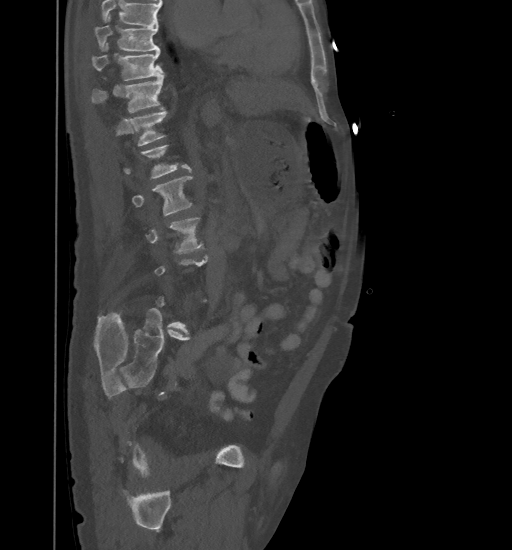

CT spine · sagittal view · W/L 1800/400 HU
Boxes: x1:y1:x2:y2 in pixels. Each vertebra is boxed only on the slices from the first to the last where its cross-section reaches a third of its largest, so a slice outside that range leaves it unboxed. No box is given to a vertebra that the top edge of the scan cuts off. 6 vertebrae labeled — T9 at 94:14:159:51; T10 at 91:43:163:80; T11 at 91:72:163:112; T12 at 129:109:167:146; L2 at 132:176:192:216; L3 at 146:218:202:252.